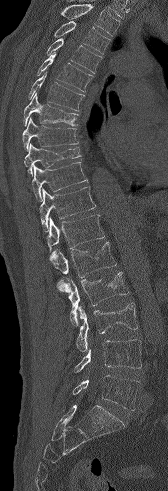 CT spine. sagittal reformat
Each row gives a vertebra's box as x1, y1, x2, y2 in pixels: top-left corner, then bottom-right corner.
Vertebrae that run past the top of the scan are left unlabeled.
| vertebra | x1 | y1 | x2 | y2 |
|---|---|---|---|---|
| T3 | 54 | 21 | 110 | 54 |
| T4 | 46 | 38 | 102 | 73 |
| T5 | 37 | 53 | 93 | 91 |
| T6 | 28 | 72 | 84 | 111 |
| T7 | 23 | 93 | 78 | 126 |
| T8 | 22 | 117 | 78 | 151 |
| T9 | 24 | 143 | 80 | 175 |
| T10 | 31 | 162 | 88 | 201 |
| T11 | 39 | 186 | 96 | 231 |
| T12 | 46 | 215 | 104 | 252 |
| L1 | 47 | 242 | 116 | 277 |
| L2 | 56 | 272 | 128 | 325 |
| L3 | 76 | 303 | 138 | 352 |
| L4 | 73 | 339 | 141 | 373 |
| L5 | 72 | 375 | 139 | 410 |